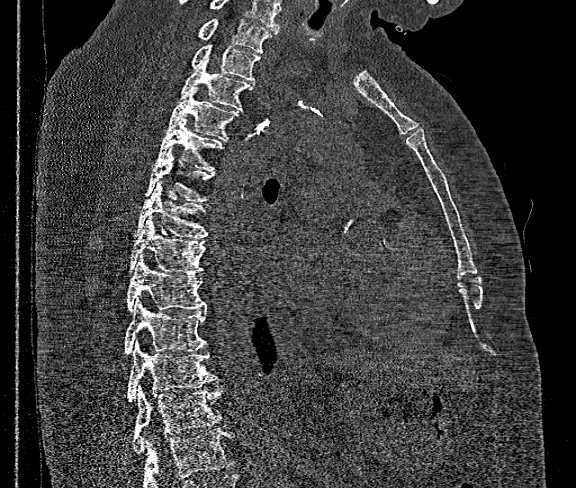 CT spine; sagittal view; bone window
Where the bottom of the scan cuts through a vertebra, that vertebra gets no label or box.
The highest labeled vertebra in this scan is T1; the lowest is T12.
<vertebrae><v name="T1" x1="200" y1="18" x2="276" y2="52"/><v name="T2" x1="191" y1="44" x2="260" y2="81"/><v name="T3" x1="179" y1="58" x2="253" y2="110"/><v name="T4" x1="164" y1="87" x2="239" y2="140"/><v name="T5" x1="156" y1="117" x2="221" y2="171"/><v name="T6" x1="145" y1="148" x2="213" y2="201"/><v name="T7" x1="136" y1="182" x2="208" y2="238"/><v name="T8" x1="129" y1="216" x2="205" y2="273"/><v name="T9" x1="127" y1="255" x2="205" y2="311"/><v name="T10" x1="125" y1="298" x2="207" y2="355"/><v name="T11" x1="128" y1="341" x2="218" y2="403"/><v name="T12" x1="133" y1="386" x2="223" y2="454"/></vertebrae>